Spine computed tomography. sagittal reformat. Bone window (WL 400, WW 1800). 512x842 px. 17 vertebrae labeled in this scan
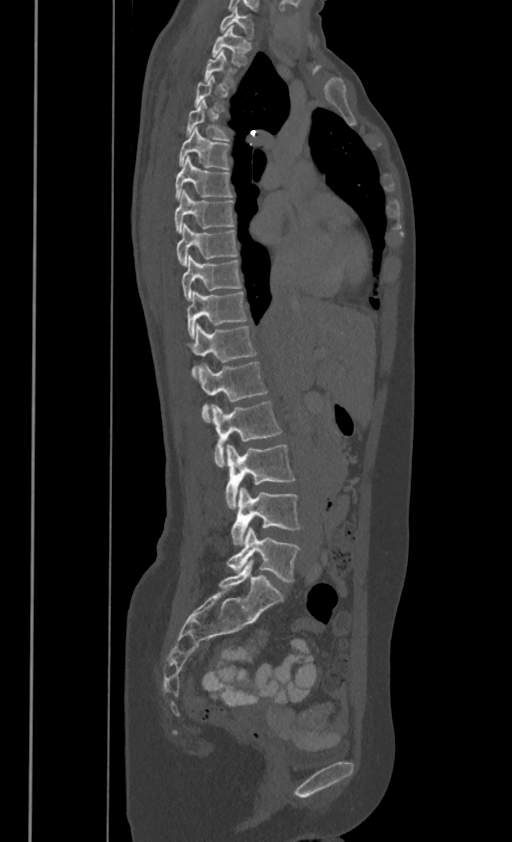
Box edges are left/top/right/bottom in pixels.
A vertebra gets a box only on the slices from the first to the last where its cross-section is at least a third of its largest; on a slice outside that range it gets none.
These labels give this spine no T12: after T11 the next vertebra is L1.
C7: left=220, top=6, right=252, bottom=36
T1: left=212, top=25, right=251, bottom=63
T4: left=187, top=99, right=227, bottom=139
T5: left=179, top=127, right=228, bottom=169
T6: left=175, top=155, right=231, bottom=198
T7: left=175, top=190, right=234, bottom=231
T8: left=176, top=222, right=236, bottom=264
T9: left=182, top=254, right=240, bottom=299
T10: left=187, top=289, right=246, bottom=337
T11: left=187, top=324, right=255, bottom=374
L1: left=197, top=361, right=267, bottom=418
L2: left=211, top=400, right=281, bottom=466
L3: left=225, top=445, right=295, bottom=508
L4: left=231, top=487, right=299, bottom=545
L5: left=227, top=528, right=299, bottom=582